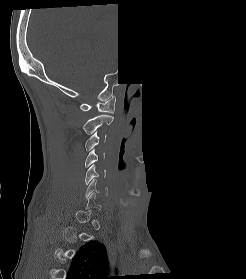

CT · sagittal view · Bone window (WL 400, WW 1800) · 246 mm wide · an area of the scan was removed and filled with constant pixels
Boxes are (x1, y1, x2, y2) in pixels. Each vertebra is boxed only on the slices from the first to the last where its cross-section reaches a third of its largest, so a slice outside that range leaves it unboxed. Vertebrae labeled: C1 at (80, 95, 115, 113), C2 at (82, 114, 113, 134), C3 at (85, 131, 106, 151), C4 at (85, 149, 104, 167), C5 at (85, 164, 105, 184), C6 at (85, 179, 107, 200).